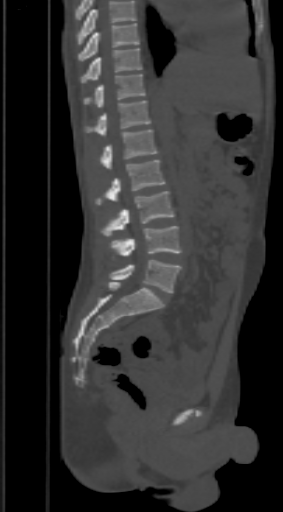
Computed tomography of the spine · sagittal view · bone-window reconstruction · 283x512 px · 303 mm wide
Coordinates as <box>x1,y1,x2,y2</box>.
Vertebrae that run past the top of the scan are left unlabeled.
T9: <box>78,23,139,61</box>
T10: <box>81,48,142,83</box>
T11: <box>84,73,145,108</box>
T12: <box>84,101,150,135</box>
L1: <box>98,129,156,169</box>
L2: <box>95,159,164,204</box>
L3: <box>101,191,175,236</box>
L4: <box>109,226,181,259</box>
L5: <box>109,259,181,293</box>